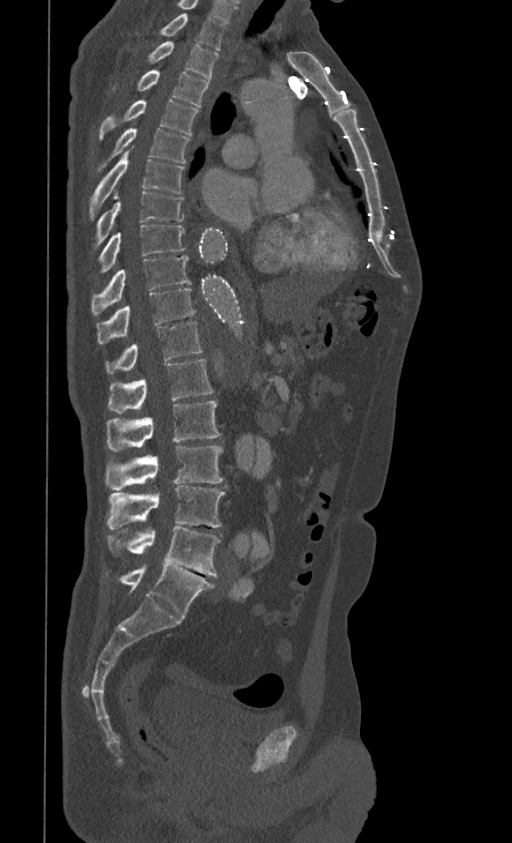

Spine computed tomography. sagittal view. 512x843 px

Boxes are (x1, y1, x2, y2) in pixels.
In this scan, the topmost labeled vertebra is T1 and the lowest is L5.
Vertebra bounding boxes:
- T1: (160, 13, 226, 50)
- T2: (149, 42, 218, 80)
- T3: (137, 70, 208, 106)
- T4: (99, 99, 199, 139)
- T5: (97, 128, 189, 170)
- T6: (88, 150, 184, 218)
- T7: (95, 192, 184, 248)
- T8: (97, 224, 185, 274)
- T9: (91, 255, 190, 314)
- T10: (96, 288, 195, 344)
- T11: (105, 322, 202, 373)
- T12: (108, 359, 213, 414)
- L1: (106, 401, 221, 451)
- L2: (105, 446, 223, 491)
- L3: (106, 485, 225, 529)
- L4: (106, 527, 220, 576)
- L5: (118, 565, 213, 618)